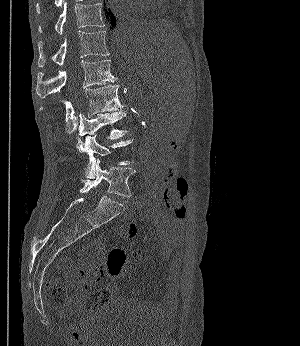

Spine computed tomography — sagittal view — bone-window reconstruction
<vertebrae><v name="T11" x1="38" y1="0" x2="104" y2="34"/><v name="T12" x1="38" y1="30" x2="109" y2="67"/><v name="L1" x1="36" y1="60" x2="115" y2="98"/><v name="L2" x1="40" y1="84" x2="124" y2="134"/><v name="L3" x1="78" y1="110" x2="126" y2="139"/><v name="L4" x1="76" y1="134" x2="133" y2="179"/><v name="L5" x1="80" y1="158" x2="136" y2="197"/></vertebrae>